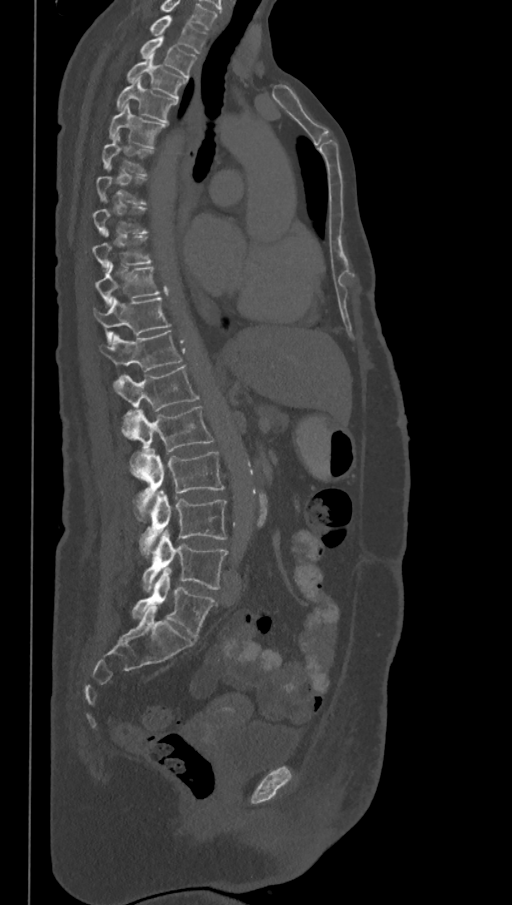

CT. image width 368 mm. sagittal view. Bone window (WL 400, WW 1800). 512x905 px
Coordinates as <box>x1,y1,x2,y2</box>.
A vertebra gets a box only on the slices from the first to the last where its cross-section is at least a third of its largest; on a slice outside that range it gets none.
This scan's labels start at T1 at the top and end at L6 at the bottom.
In these labels the spine has an L6, a sixth lumbar vertebra below L5.
Vertebra bounding boxes:
- T1: <box>150,15,206,53</box>
- T2: <box>140,38,196,78</box>
- T3: <box>126,54,187,98</box>
- T4: <box>117,78,177,123</box>
- T5: <box>110,105,164,148</box>
- T9: <box>92,230,150,269</box>
- T10: <box>94,263,159,305</box>
- T11: <box>93,298,169,342</box>
- T12: <box>100,331,181,372</box>
- L1: <box>112,366,199,439</box>
- L2: <box>133,406,213,451</box>
- L3: <box>130,448,224,524</box>
- L4: <box>139,491,227,556</box>
- L5: <box>142,530,227,591</box>
- L6: <box>132,567,217,639</box>